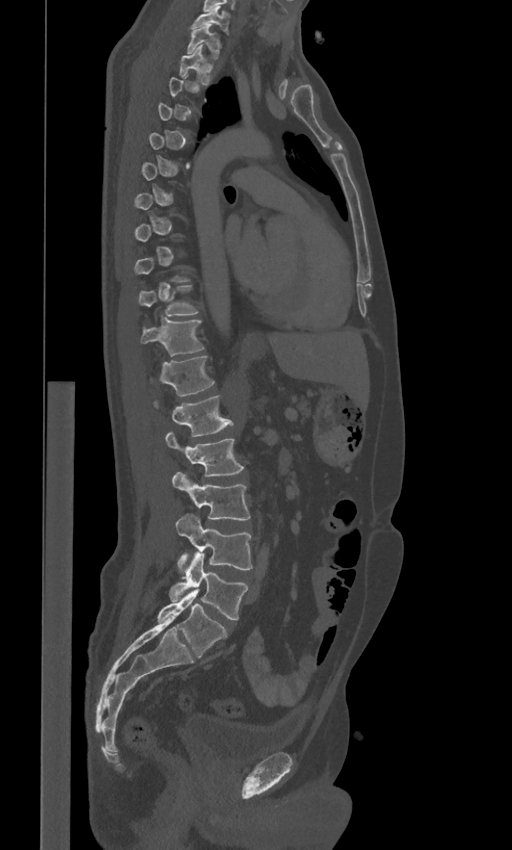 CT; sagittal view; 512x850 px. Each box given as x1,y1,x2,y2. A vertebra is boxed only from the first to the last slice where its cross-section is at least a third of its largest; slices outside that range leave it without a box. These labels give the spine a sixth lumbar vertebra, L6, below L5. The labeled vertebrae in this slice are: C7 at x1=192, y1=8, x2=229, y2=33, T1 at x1=187, y1=23, x2=221, y2=58, T2 at x1=179, y1=45, x2=212, y2=85, T10 at x1=139, y1=286, x2=198, y2=316, T11 at x1=141, y1=318, x2=203, y2=356, T12 at x1=159, y1=355, x2=214, y2=395, L1 at x1=154, y1=395, x2=232, y2=436, L2 at x1=165, y1=432, x2=244, y2=475, L3 at x1=172, y1=472, x2=250, y2=519, L4 at x1=176, y1=514, x2=252, y2=571, L5 at x1=170, y1=552, x2=247, y2=620, L6 at x1=157, y1=589, x2=227, y2=658.